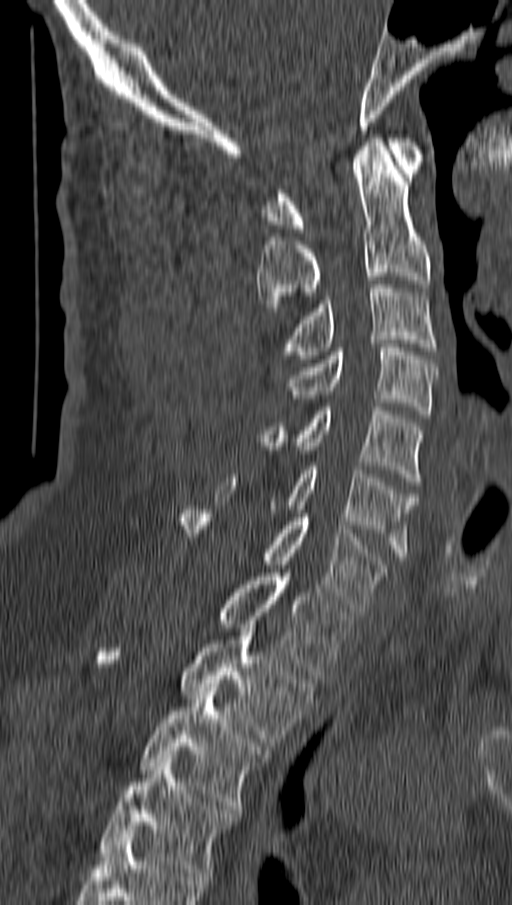

CT spine; sagittal view; 162 mm wide; 512x905 px
Each box is [x1, y1, x2, y2] in pixels: top-left corner, then bottom-right corner.
{"vertebrae":{"T4":[99,759,237,880],"T3":[140,687,269,813],"T2":[96,632,313,746],"T1":[219,569,351,679],"C7":[178,506,386,611],"C6":[217,466,417,560],"C5":[253,403,424,485],"C4":[289,344,436,418],"C3":[281,284,436,359],"C2":[257,138,430,315],"C1":[263,138,423,232]}}